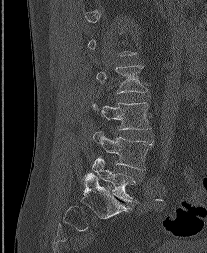
CT spine — sagittal reformat — Bone window (WL 400, WW 1800)
Boxes: x1 y1 x2 y2 (pixel coords, space-separated).
Each vertebra is boxed only on the slices from the first to the last where its cross-section reaches a third of its largest, so a slice outside that range leaves it unboxed.
L2: 96 65 148 92
L3: 93 103 150 129
L4: 93 131 153 169
L5: 92 157 136 201